CT spine · sagittal view · W/L 1800/400 HU · 392 mm wide · 512x642 px
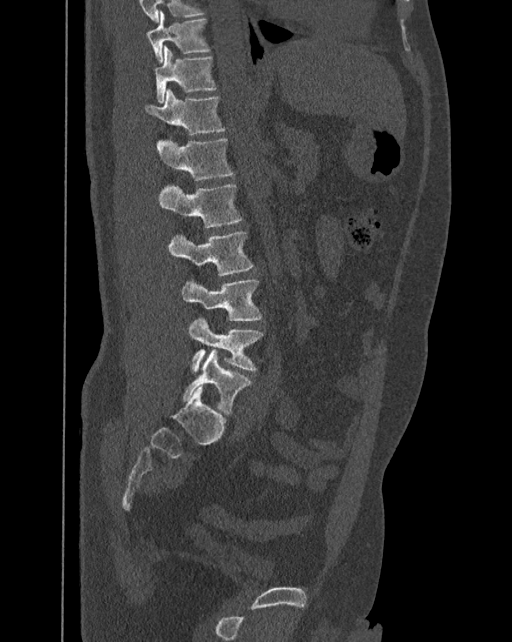
Each box given as x1,y1,x2,y2.
The labels name a sixth lumbar vertebra for this spine: L6, after L5.
T10: x1=147, y1=11, x2=210, y2=62
T11: x1=155, y1=46, x2=217, y2=102
T12: x1=145, y1=89, x2=225, y2=134
L1: x1=157, y1=138, x2=234, y2=180
L2: x1=158, y1=183, x2=243, y2=227
L3: x1=168, y1=232, x2=254, y2=275
L4: x1=181, y1=279, x2=261, y2=321
L5: x1=189, y1=317, x2=264, y2=372
L6: x1=183, y1=349, x2=251, y2=414